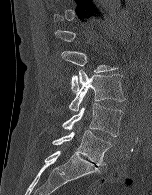
Spine CT · sagittal view. Coordinates as <box>x1,y1,x2,y2</box>. Not every vertebra on this slice has a box: a vertebra is boxed only from the first to the last slice where its cross-section is at least a third of its largest, and this slice is outside that range for at least one of them. Vertebrae labeled: L5 at <box>52,130,111,165</box>, L4 at <box>62,103,123,136</box>, L3 at <box>69,69,125,111</box>, L2 at <box>61,51,117,92</box>.